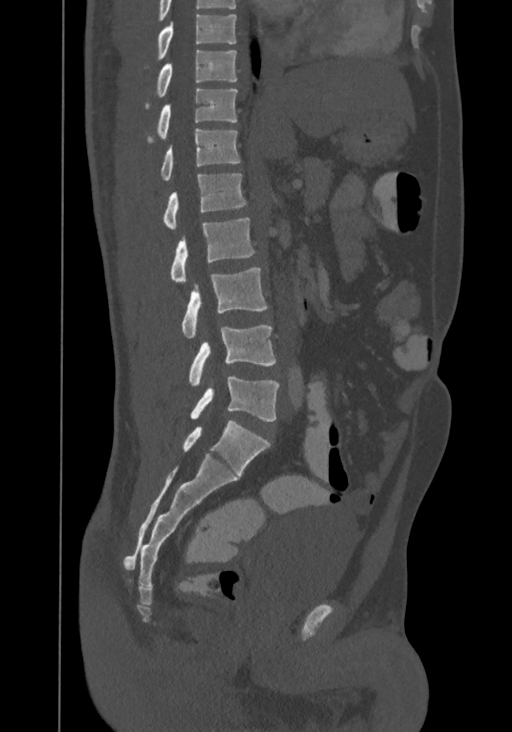

CT, spine · sagittal reformat · 367 mm image width

Boxes are (x1, y1, x2, y2) in pixels.
This scan's labels start at T8 at the top and end at L4 at the bottom.
T8: (145, 14, 236, 68)
T9: (145, 49, 236, 109)
T10: (146, 88, 237, 142)
T11: (160, 128, 240, 180)
T12: (163, 173, 246, 229)
L1: (170, 217, 254, 282)
L2: (181, 267, 268, 338)
L3: (188, 325, 275, 386)
L4: (190, 377, 279, 421)